Spine CT — sagittal plane, index 279 — the image spans 333 mm across
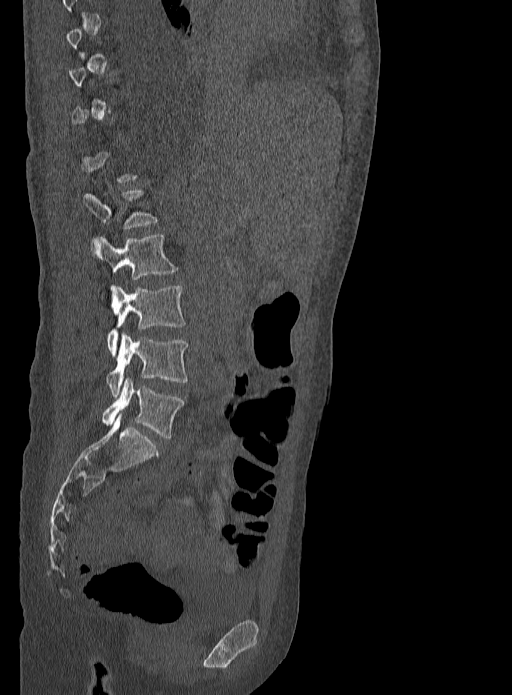
Each box is [x1, y1, x2, y2] in pixels: top-left corner, then bottom-right corner.
A vertebra is boxed only from the first to the last slice where its cross-section is at least a third of its largest; slices outside that range leave it without a box.
{"vertebrae":{"L1":[83,189,157,230],"L2":[92,234,179,279],"L3":[107,286,185,354],"L4":[107,334,188,396],"L5":[101,378,183,439]}}